Spine CT · sagittal view · bone window · 512x689 px
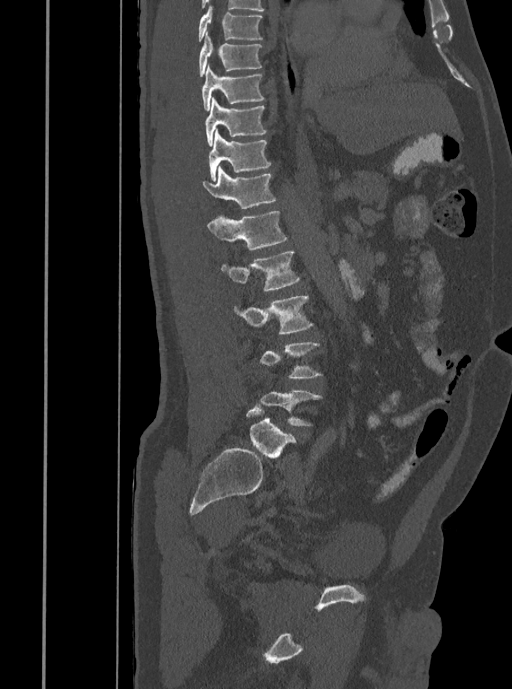

Boxes: x1 y1 x2 y2 (pixel coords, space-separated).
Vertebra bounding boxes:
- T7: 197 6 262 42
- T8: 198 32 261 76
- T9: 202 64 264 111
- T10: 206 97 266 146
- T11: 208 130 271 181
- T12: 202 166 276 209
- L1: 207 211 286 249
- L2: 221 251 300 290
- L3: 235 295 313 334
- L4: 260 341 321 378
- L5: 261 390 321 426